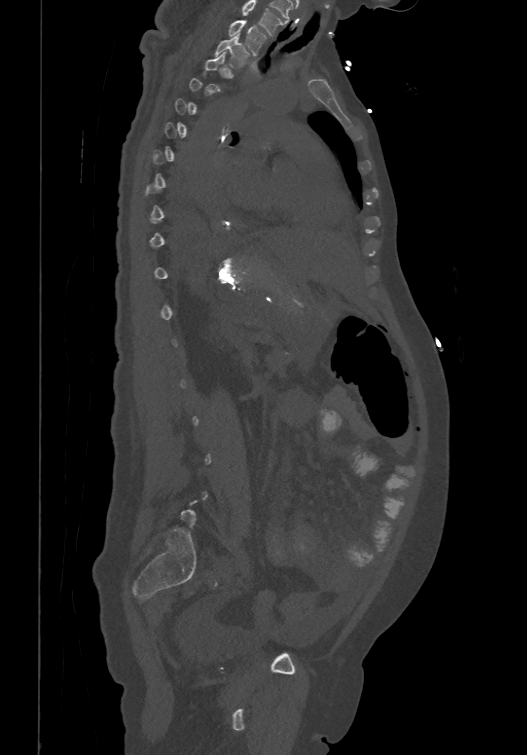
Spine CT · 474 mm wide · sagittal view

Coordinates as <box>x1,y1,x2,y2</box>.
A vertebra gets a box only on the slices from the first to the last where its cross-section is at least a third of its largest; on a slice outside that range it gets none.
Labels in this scan begin with T1 at the top and end with L6 at the bottom.
T1: <box>227,20,265,55</box>
T2: <box>214,33,249,67</box>